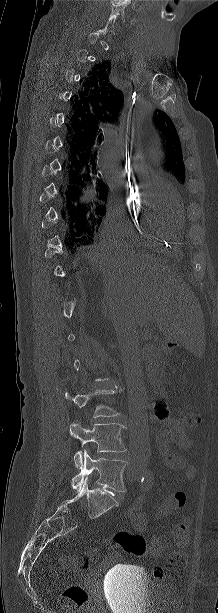
CT spine; 218 mm wide; sagittal reformat; bone-window reconstruction

Boxes: x1 y1 x2 y2 (pixel coords, space-separated).
A vertebra gets a box only on the slices from the first to the last where its cross-section is at least a third of its largest; on a slice outside that range it gets none.
L4: 69 423 126 468
L5: 71 450 126 491